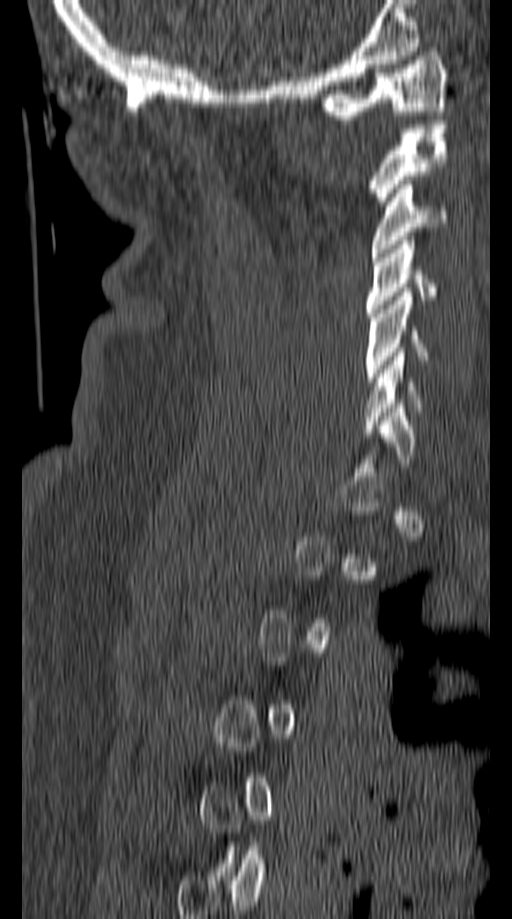

CT spine · sagittal view · Bone window (WL 400, WW 1800)
Box edges are left/top/right/bottom in pixels. Not every vertebra on this slice has a box: a vertebra is boxed only from the first to the last slice where its cross-section is at least a third of its largest, and this slice is outside that range for at least one of them. 6 vertebrae labeled — C1 at left=319, top=47, right=447, bottom=119; C2 at left=369, top=120, right=447, bottom=205; C3 at left=372, top=180, right=447, bottom=257; C4 at left=365, top=241, right=437, bottom=317; C5 at left=365, top=292, right=430, bottom=386; C6 at left=364, top=352, right=423, bottom=433.